Spine CT; Sagittal slice 294/512; bone-window reconstruction
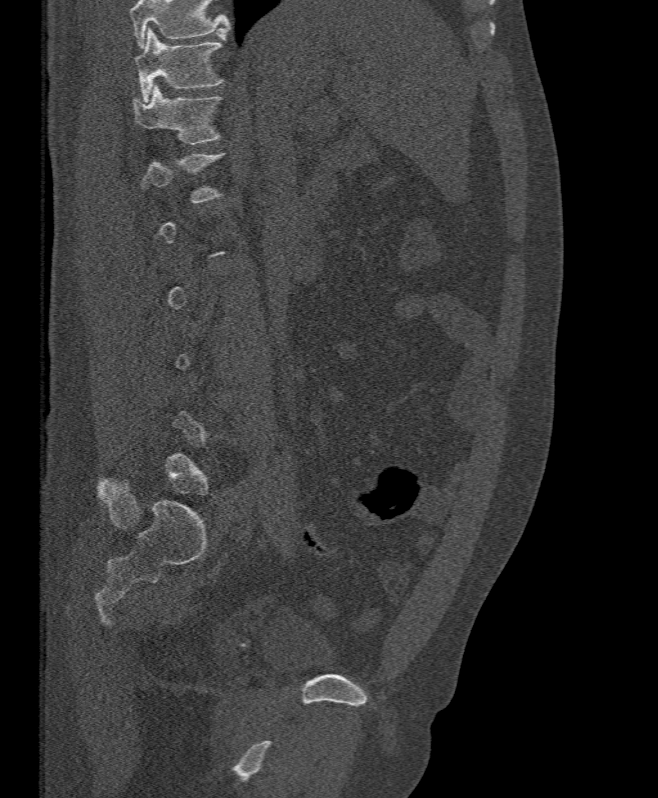

Boxes are given in columns x1, y1, x2, y2, the pixel coordinates of their top-left and bottom-right corners.
A vertebra is boxed only from the first to the last slice where its cross-section is at least a third of its largest; slices outside that range leave it without a box.
Where the top of the scan cuts through a vertebra, that vertebra gets no label or box.
| vertebra | x1 | y1 | x2 | y2 |
|---|---|---|---|---|
| T12 | 132 | 85 | 220 | 144 |
| T11 | 135 | 28 | 223 | 102 |